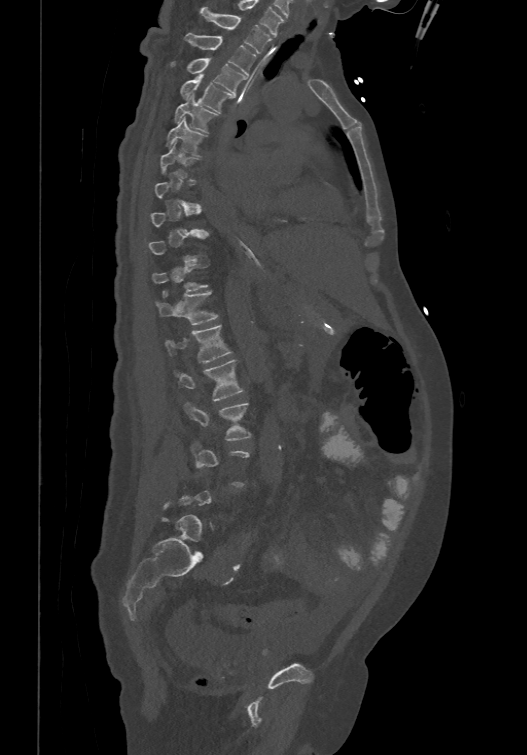

CT. sagittal view. 474 mm image width
Each box given as x1,y1,x2,y2. Not every vertebra on this slice has a box: a vertebra is boxed only from the first to the last slice where its cross-section is at least a third of its largest, and this slice is outside that range for at least one of them. The labeled vertebrae in this slice are: L3 at x1=184, y1=402, x2=251, y2=440, L2 at x1=175, y1=358, x2=244, y2=401, L1 at x1=165, y1=324, x2=233, y2=362, T12 at x1=155, y1=290, x2=218, y2=324, T7 at x1=160, y1=142, x2=198, y2=180, T6 at x1=166, y1=117, x2=206, y2=155, T5 at x1=173, y1=93, x2=218, y2=131, T4 at x1=180, y1=73, x2=234, y2=112, T3 at x1=170, y1=57, x2=246, y2=93, T2 at x1=184, y1=32, x2=255, y2=74, T1 at x1=201, y1=6, x2=271, y2=53.